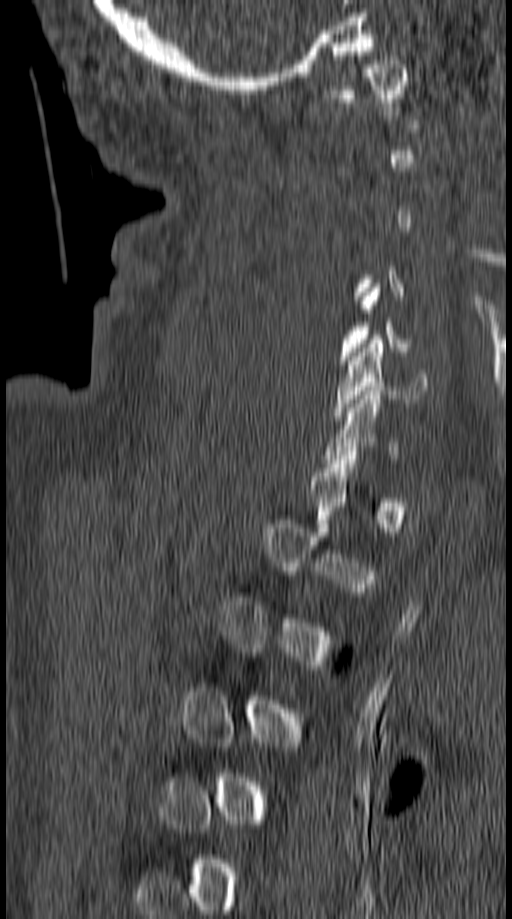
CT. sagittal view. 149 mm across the image

Each box is [x1, y1, x2, y2] in pixels: top-left corner, then bottom-right corner.
A vertebra gets a box only on the slices from the first to the last where its cross-section is at least a third of its largest; on a slice outside that range it gets none.
{"vertebrae":{"C1":[338,56,406,111],"C6":[333,339,430,420]}}